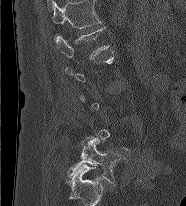 CT — sagittal view — bone window — 186x206 px
Bounding boxes as [x1, y1, x2, y2] in pixel coordinates. Each vertebra is boxed only on the slices from the first to the last where its cross-section reaches a third of its largest, so a slice outside that range leaves it unboxed. Labels in this scan begin with L1 at the top and end with L5 at the bottom. The labeled vertebrae in this slice are: L1 at [56, 27, 109, 59], L5 at [67, 136, 124, 182].